CT, spine · sagittal view · Bone window (WL 400, WW 1800) · 512x694 px · 190 mm image width
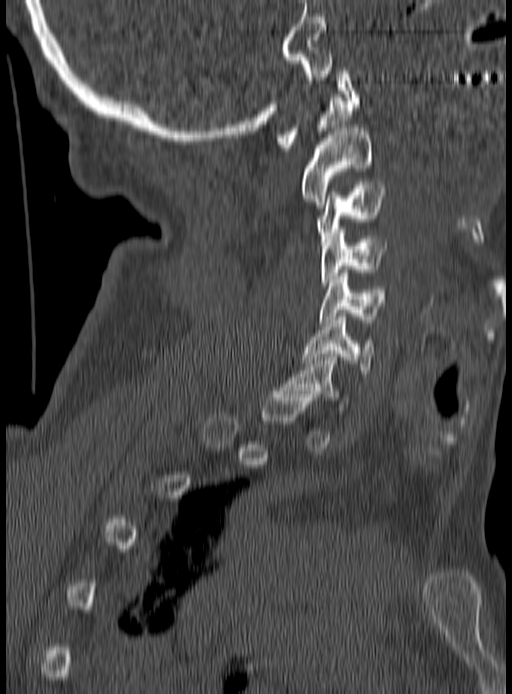
Boxes: x1:y1:x2:y2 in pixels. A vertebra is boxed only from the first to the last slice where its cross-section is at least a third of its largest; slices outside that range leave it without a box. 7 vertebrae labeled — C1 at 278:67:359:151; C2 at 300:128:372:204; C3 at 316:182:386:242; C4 at 322:229:387:289; C5 at 319:273:385:322; C6 at 303:317:374:376; C7 at 279:354:345:413.